CT, spine. 356 mm wide. Sagittal slice 224/512. W/L 1800/400 HU
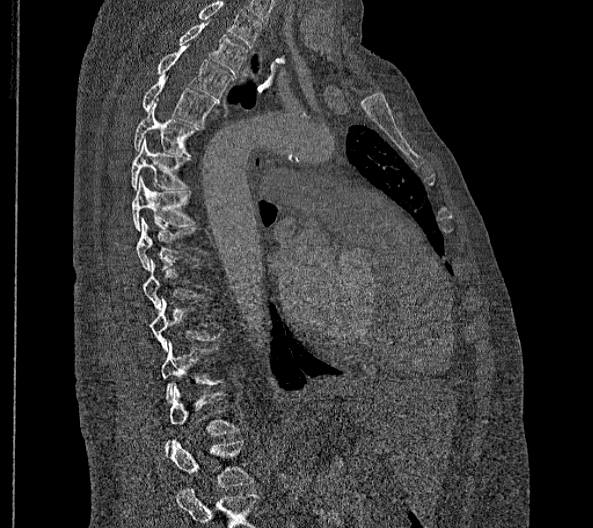
Each row gives a vertebra's box as x1, y1, x2, y2 in pixels: top-left corner, then bottom-right corner.
The highest labeled vertebra in this scan is T2; the lowest is L2.
These labels give this spine no T12: after T11 the next vertebra is L1.
| vertebra | x1 | y1 | x2 | y2 |
|---|---|---|---|---|
| T2 | 178 | 23 | 247 | 76 |
| T3 | 156 | 46 | 232 | 99 |
| T4 | 141 | 74 | 216 | 126 |
| T5 | 133 | 103 | 201 | 156 |
| T6 | 131 | 138 | 190 | 189 |
| T7 | 131 | 175 | 195 | 231 |
| T8 | 137 | 217 | 198 | 270 |
| T9 | 143 | 259 | 204 | 309 |
| T10 | 149 | 298 | 220 | 351 |
| T11 | 161 | 339 | 224 | 402 |
| L1 | 165 | 384 | 240 | 457 |
| L2 | 170 | 440 | 254 | 487 |